CT spine — Sagittal slice 255/512 — Bone window (WL 400, WW 1800) — 368 mm wide — scan covers 18 annotated vertebrae
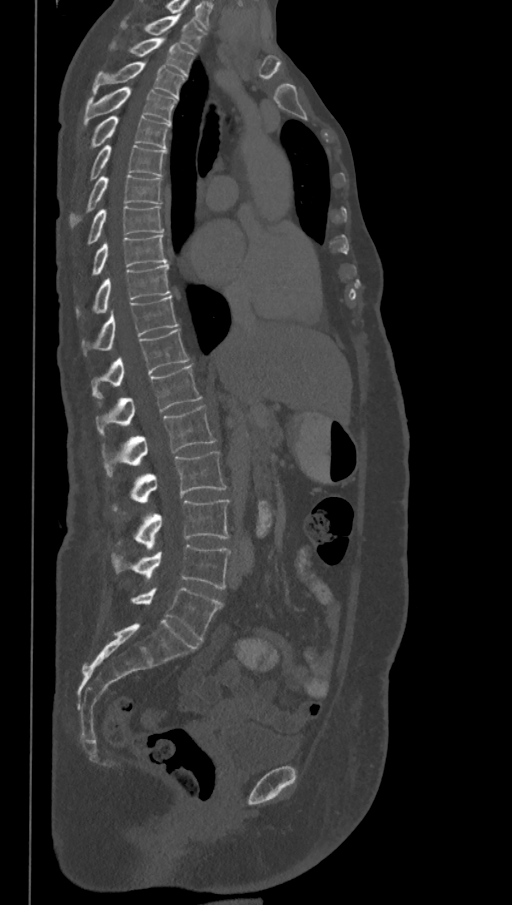
Box edges are left/top/right/bottom in pixels.
In this scan, the topmost labeled vertebra is T1 and the lowest is L6.
These labels give the spine a sixth lumbar vertebra, L6, below L5.
Vertebra bounding boxes:
- T1: left=121, top=15, right=205, bottom=52
- T2: left=110, top=39, right=194, bottom=75
- T3: left=92, top=61, right=185, bottom=98
- T4: left=83, top=86, right=177, bottom=124
- T5: left=90, top=115, right=170, bottom=149
- T6: left=89, top=144, right=166, bottom=179
- T7: left=71, top=175, right=162, bottom=226
- T8: left=87, top=205, right=164, bottom=243
- T9: left=92, top=233, right=167, bottom=276
- T10: left=76, top=264, right=170, bottom=316
- T11: left=82, top=296, right=178, bottom=353
- T12: left=92, top=329, right=189, bottom=398
- L1: left=96, top=364, right=202, bottom=436
- L2: left=103, top=406, right=216, bottom=476
- L3: left=114, top=452, right=227, bottom=510
- L4: left=135, top=500, right=230, bottom=550
- L5: left=112, top=545, right=231, bottom=589
- L6: left=131, top=587, right=223, bottom=640